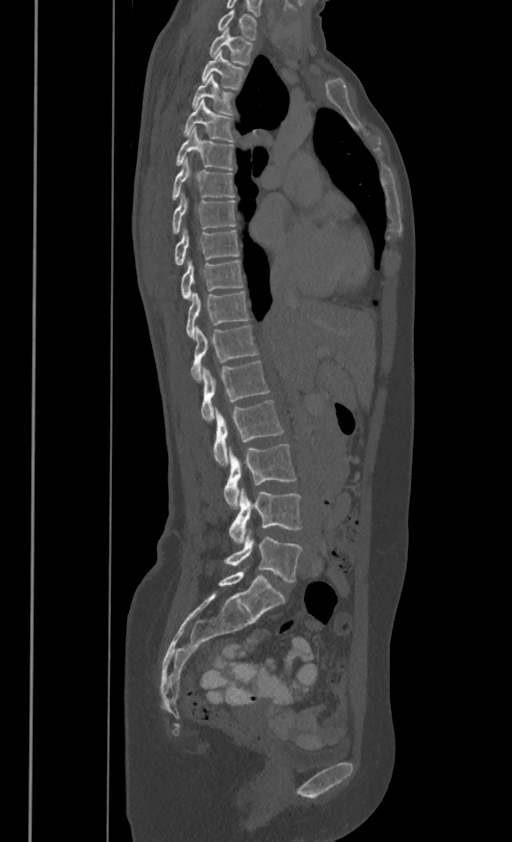
Spine computed tomography — 386 mm wide — sagittal view — 512x842 px

Each box is [x1, y1, x2, y2] in pixels: top-left corner, then bottom-right corner.
In these labels the spine has no T12: the thoracic vertebrae end at T11, and L1 comes next.
{"vertebrae":{"C7":[217,8,256,38],"T1":[209,26,252,63],"T2":[201,50,243,87],"T3":[192,74,231,112],"T4":[184,99,232,141],"T5":[176,125,232,169],"T6":[172,156,234,198],"T7":[172,191,235,232],"T8":[175,227,239,264],"T9":[182,258,243,299],"T10":[187,290,248,337],"T11":[191,325,257,380],"L1":[201,361,268,422],"L2":[213,399,283,466],"L3":[224,444,296,508],"L4":[229,487,301,543],"L5":[225,529,301,582]}}